Computed tomography of the spine; sagittal reformat; bone window; 512x263 px
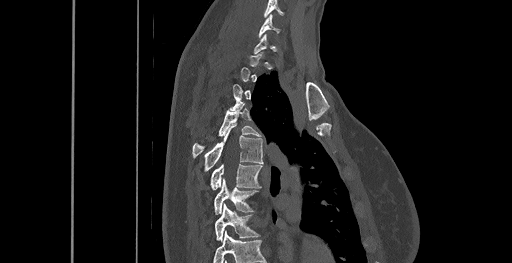

Boxes below are [x1, y1, x2, y2] in pixels.
Each vertebra is boxed only on the slices from the first to the last where its cross-section reaches a third of its largest, so a slice outside that range leaves it unboxed.
In this scan, the topmost labeled vertebra is C6 and the lowest is T8.
{"vertebrae":{"C6":[259,14,280,36],"T4":[192,104,260,157],"T5":[204,126,262,171],"T6":[211,164,261,190],"T7":[214,179,257,214],"T8":[215,204,259,240]}}